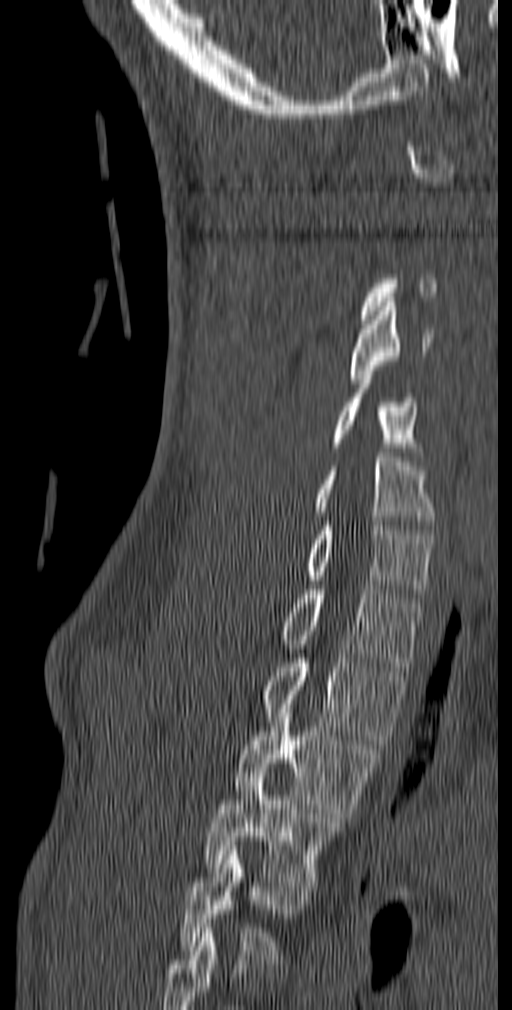
CT, spine · sagittal view · Bone window (WL 400, WW 1800) · 140 mm wide. Boxes: x1:y1:x2:y2 in pixels.
Not every vertebra on this slice has a box: a vertebra is boxed only from the first to the last slice where its cross-section is at least a third of its largest, and this slice is outside that range for at least one of them.
The highest labeled vertebra in this scan is C1; the lowest is T5.
C4: 349:302:433:383
C5: 330:379:425:461
C6: 314:453:436:525
C7: 305:521:435:598
T1: 279:585:425:671
T2: 261:654:408:744
T3: 235:704:380:822
T4: 202:773:341:890
T5: 178:846:311:964